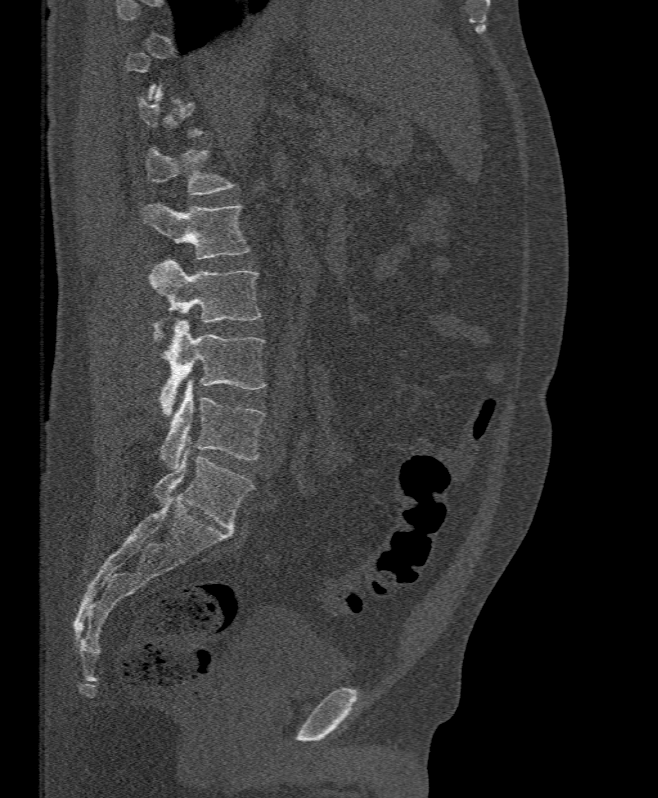

Computed tomography of the spine · sagittal view · bone-window reconstruction · the image is 395 mm wide

Columns x1, y1, x2, y2 give each box's top-left and bottom-right pixels.
Each vertebra is boxed only on the slices from the first to the last where its cross-section reaches a third of its largest, so a slice outside that range leaves it unboxed.
| vertebra | x1 | y1 | x2 | y2 |
|---|---|---|---|---|
| L1 | 145 | 147 | 237 | 194 |
| L2 | 141 | 202 | 251 | 259 |
| L3 | 148 | 258 | 260 | 342 |
| L4 | 158 | 320 | 265 | 416 |
| L5 | 159 | 380 | 264 | 469 |